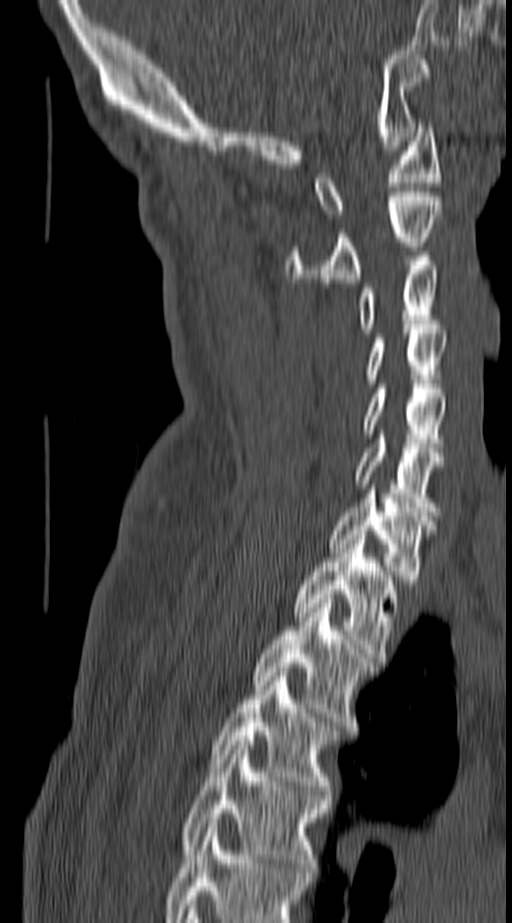

Spine CT. sagittal view
Box edges are left/top/right/bottom in pixels. The highest labeled vertebra in this scan is C1; the lowest is T4. The labeled vertebrae in this slice are: C1 at left=316, top=123, right=439, bottom=218, C2 at left=287, top=192, right=441, bottom=282, C3 at left=360, top=256, right=439, bottom=333, C4 at left=367, top=329, right=447, bottom=383, C5 at left=363, top=384, right=447, bottom=452, C6 at left=356, top=434, right=444, bottom=511, C7 at left=330, top=489, right=436, bottom=584, T1 at left=294, top=535, right=396, bottom=657, T2 at left=254, top=599, right=376, bottom=726, T3 at left=210, top=672, right=337, bottom=794, T4 at left=181, top=741, right=329, bottom=872.